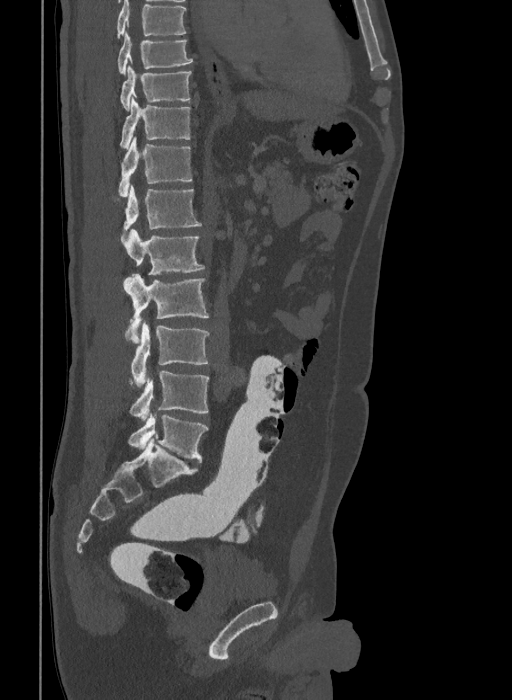

Computed tomography of the spine — sagittal view — Bone window (WL 400, WW 1800) — 512x700 px — image width 409 mm. Box edges are left/top/right/bottom in pixels.
In this scan, the topmost labeled vertebra is T9 and the lowest is L6.
The labels name a sixth lumbar vertebra for this spine: L6, after L5.
Vertebra bounding boxes:
- T9: left=117, top=33, right=193, bottom=76
- T10: left=120, top=65, right=192, bottom=111
- T11: left=120, top=98, right=190, bottom=148
- T12: left=118, top=136, right=192, bottom=197
- L1: left=114, top=185, right=202, bottom=231
- L2: left=121, top=229, right=204, bottom=274
- L3: left=122, top=274, right=209, bottom=343
- L4: left=125, top=320, right=209, bottom=388
- L5: left=129, top=371, right=209, bottom=420
- L6: left=128, top=415, right=208, bottom=462